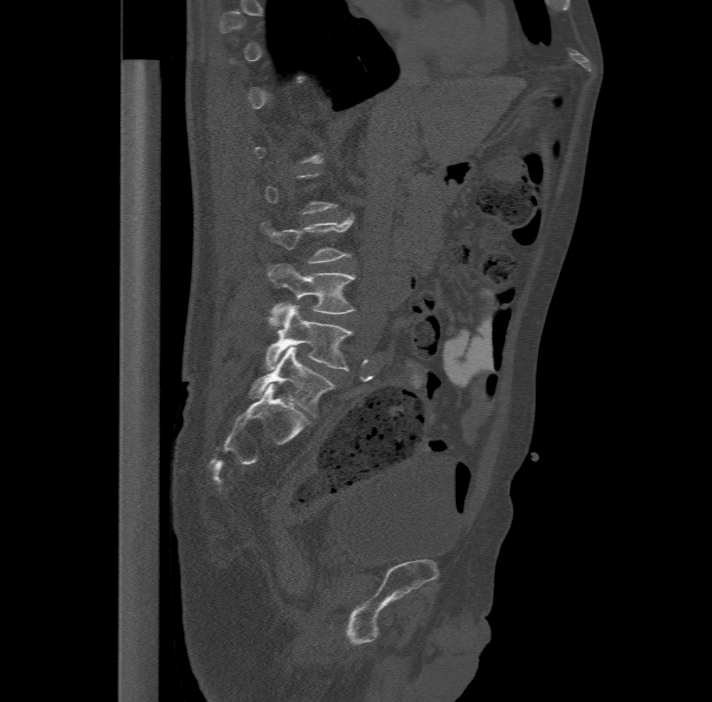
Computed tomography of the spine; sagittal reformat; Bone window (WL 400, WW 1800)

Each box is [x1, y1, x2, y2] in pixels: top-left corner, then bottom-right corner.
A vertebra gets a box only on the slices from the first to the last where its cross-section is at least a third of its largest; on a slice outside that range it gets none.
These labels give the spine a sixth lumbar vertebra, L6, below L5.
{"vertebrae":{"L3":[261,215,352,261],"L4":[267,262,354,324],"L5":[266,303,352,370],"L6":[249,346,334,416]}}